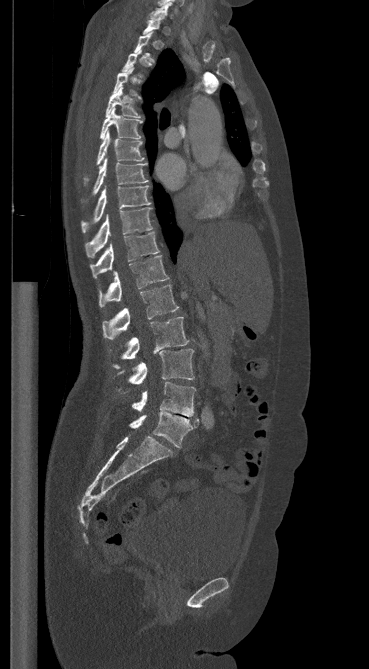

Computed tomography of the spine · sagittal view · bone-window reconstruction. Bounding boxes as [x1, y1, x2, y2] in pixel coordinates.
Each vertebra is boxed only on the slices from the first to the last where its cross-section reaches a third of its largest, so a slice outside that range leaves it unboxed.
Vertebra bounding boxes:
- C7: [150, 2, 171, 18]
- T4: [113, 67, 140, 97]
- T5: [106, 87, 140, 117]
- T6: [100, 108, 142, 140]
- T7: [84, 132, 144, 181]
- T8: [82, 158, 147, 202]
- T9: [81, 186, 150, 232]
- T10: [85, 208, 152, 257]
- T11: [90, 232, 159, 278]
- T12: [99, 256, 168, 307]
- L1: [102, 285, 178, 339]
- L2: [113, 317, 188, 368]
- L3: [117, 349, 194, 391]
- L4: [132, 382, 195, 416]
- L5: [129, 411, 199, 448]